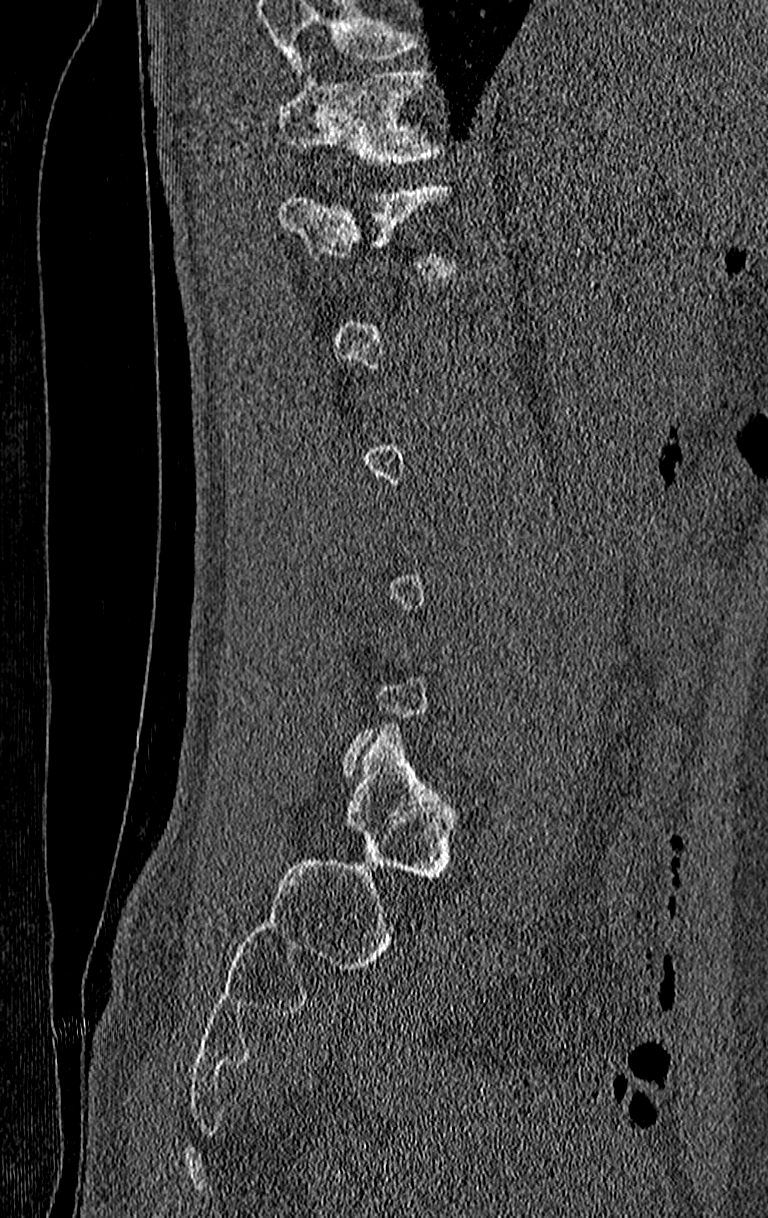
Spine computed tomography · sagittal reformat · 768x1218 px
Each box given as x1,y1,x2,y2.
A vertebra is boxed only from the first to the last slice where its cross-section is at least a third of its largest; slices outside that range leave it without a box.
Vertebrae that run past the top of the scan are left unlabeled.
| vertebra | x1 | y1 | x2 | y2 |
|---|---|---|---|---|
| T11 | 280 | 67 | 444 | 165 |
| T12 | 280 | 184 | 462 | 277 |